CT, spine. sagittal plane, index 276. 140 mm across the image. scan covers 10 annotated vertebrae. a region of this slice is masked with a uniform fill
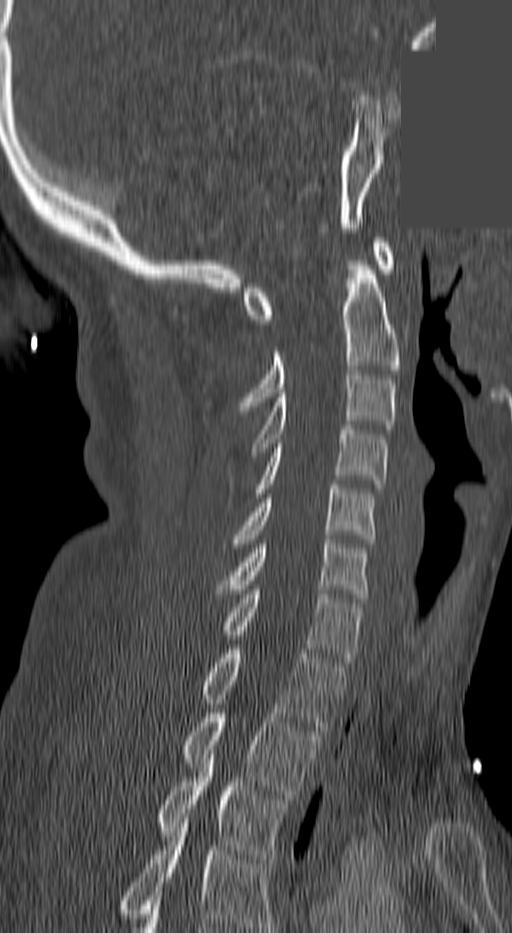 Bounding boxes as [x1, y1, x2, y2] in pixel coordinates.
The highest labeled vertebra in this scan is C1; the lowest is T3.
C1: [243, 238, 392, 324]
C2: [240, 265, 399, 406]
C3: [251, 370, 395, 456]
C4: [253, 425, 388, 497]
C5: [232, 485, 373, 548]
C6: [221, 539, 366, 598]
C7: [224, 590, 362, 662]
T1: [202, 649, 344, 730]
T2: [184, 713, 319, 794]
T3: [159, 750, 286, 858]